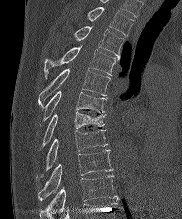 CT, spine. sagittal view. 182x219 px
Boxes below are [x1, y1, x2, y2] in pixels.
{"vertebrae":{"T10":[40,175,115,218],"T9":[38,149,112,200],"T8":[37,130,107,178],"T7":[40,112,105,148],"T6":[42,91,106,121],"T5":[38,68,110,106],"T4":[44,46,119,78],"T3":[74,26,124,56],"T2":[87,7,133,37]}}